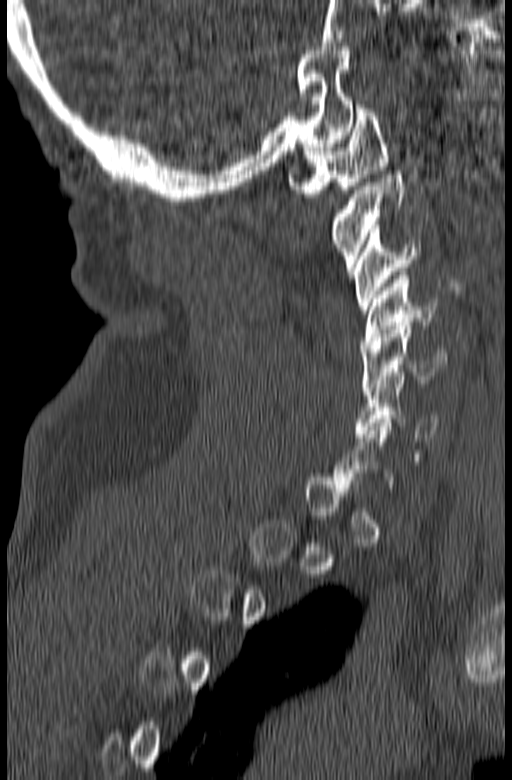 Spine CT. sagittal view. bone window
Columns x1, y1, x2, y2 give each box's top-left and bottom-right pixels.
Each vertebra is boxed only on the slices from the first to the last where its cross-section reaches a third of its largest, so a slice outside that range leaves it unboxed.
| vertebra | x1 | y1 | x2 | y2 |
|---|---|---|---|---|
| C1 | 288 | 105 | 388 | 197 |
| C2 | 330 | 171 | 405 | 271 |
| C3 | 352 | 225 | 419 | 313 |
| C4 | 361 | 272 | 438 | 348 |
| C5 | 361 | 322 | 447 | 391 |
| C6 | 355 | 376 | 439 | 441 |